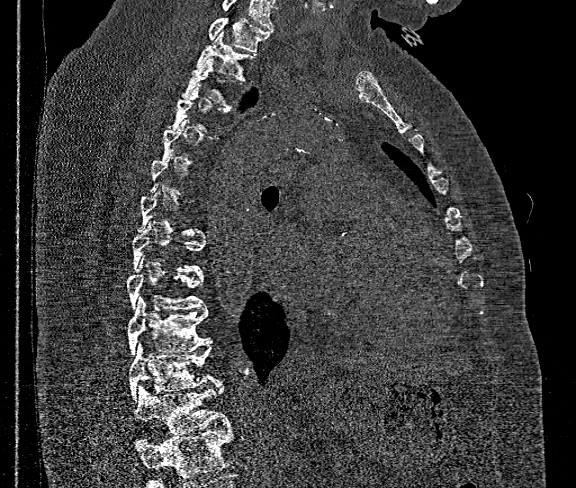

Spine CT — sagittal view — bone-window reconstruction
Each box given as x1,y1,x2,y2.
A vertebra gets a box only on the slices from the first to the last where its cross-section is at least a third of its largest; on a slice outside that range it gets none.
Vertebrae that run past the bottom of the scan are left unlabeled.
Labels in this scan begin with T1 at the top and end with T12 at the bottom.
Vertebra bounding boxes:
- T1: x1=208, y1=18, x2=271, y2=52
- T2: x1=195, y1=31, x2=254, y2=79
- T3: x1=182, y1=58, x2=242, y2=110
- T9: x1=126, y1=259, x2=204, y2=310
- T10: x1=128, y1=297, x2=208, y2=355
- T11: x1=129, y1=340, x2=219, y2=401
- T12: x1=134, y1=383, x2=231, y2=433